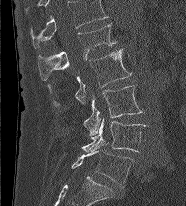 Spine CT — image width 186 mm — sagittal view
Boxes below are [x1, y1, x2, y2] in pixels.
This scan's labels start at L1 at the top and end at L5 at the bottom.
{"vertebrae":{"L5":[71,150,134,187],"L4":[82,118,148,152],"L3":[83,85,143,135],"L2":[48,48,131,107],"L1":[38,23,116,80]}}